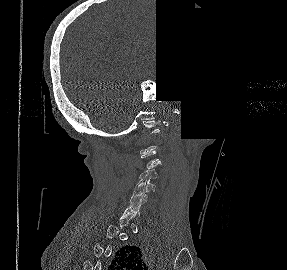
CT. sagittal view. a portion of the image is blanked out (constant pixel value)
Each box given as x1,y1,x2,y2. A vertebra gets a box only on the slices from the first to the last where its cross-section is at least a third of its largest; on a slice outside that range it gets none. The labeled vertebrae in this slice are: C1 at x1=143, y1=120, x2=168, y2=132, C3 at x1=141, y1=150, x2=161, y2=168, C4 at x1=139, y1=169, x2=157, y2=180, C5 at x1=134, y1=180, x2=155, y2=193, C6 at x1=130, y1=189, x2=147, y2=204.